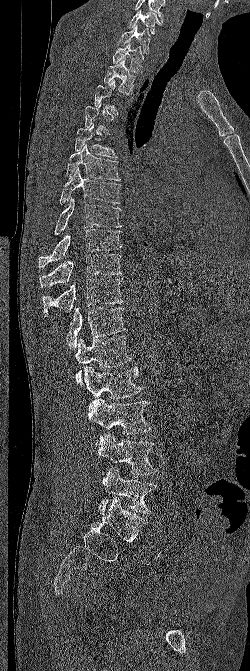 Spine CT · 250 mm across the image · sagittal view · 250x671 px
Box values are [left, top, right, bottom] in pixels.
Each vertebra is boxed only on the slices from the first to the last where its cross-section reaches a third of its largest, so a slice outside that range leaves it unboxed.
Labels in this scan begin with C6 at the top and end with L5 at the bottom.
{"vertebrae":{"C6":[128,10,162,34],"C7":[118,25,150,53],"T1":[112,41,143,73],"T2":[103,58,136,94],"T5":[75,124,117,158],"T6":[66,144,120,180],"T7":[59,167,120,204],"T8":[54,198,121,235],"T9":[38,229,121,267],"T10":[39,253,121,287],"T11":[42,278,123,317],"T12":[66,307,125,350],"L1":[75,335,131,385],"L2":[84,365,142,399],"L3":[87,398,150,445],"L4":[97,431,157,475],"L5":[98,467,157,514]}}